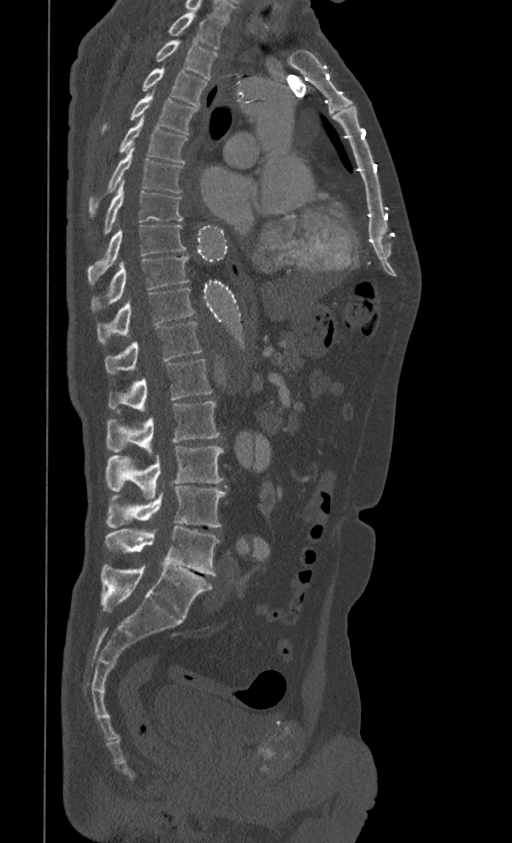

CT spine; sagittal view; bone window
Boxes below are [x1, y1, x2, y2] in pixels.
{"vertebrae":{"T1":[169,10,223,49],"T2":[156,38,217,79],"T3":[142,68,207,106],"T4":[101,91,196,135],"T5":[119,118,187,163],"T6":[88,147,181,216],"T7":[104,181,182,233],"T8":[87,224,185,284],"T9":[91,255,189,311],"T10":[97,288,195,343],"T11":[105,322,202,373],"T12":[108,359,212,412],"L1":[106,401,220,454],"L2":[105,446,223,498],"L3":[106,485,226,528],"L4":[105,527,220,575],"L5":[101,565,212,618]}}